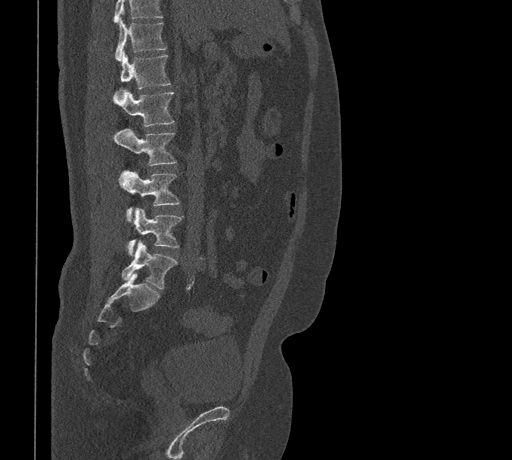

CT — sagittal view — bone-window reconstruction — 512x460 px. Boxes are (x1, y1, x2, y2) in pixels.
A vertebra cut off by the top edge of the scan is not labeled and has no box.
T11: (114, 17, 165, 60)
T12: (113, 51, 170, 99)
L1: (116, 89, 174, 126)
L2: (113, 129, 175, 166)
L3: (120, 171, 180, 220)
L4: (127, 208, 181, 255)
L5: (121, 240, 177, 289)